Spine computed tomography · Sagittal slice 68/119 · W/L 1800/400 HU
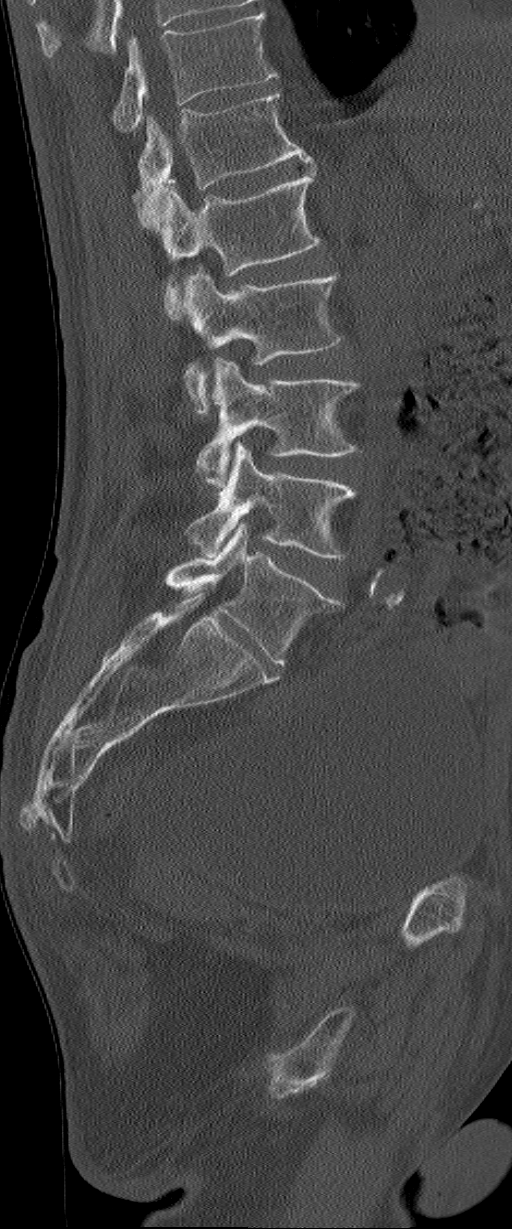
Box edges are left/top/right/bottom in pixels.
In this scan, the topmost labeled vertebra is L1 and the lowest is L6.
The labels name a sixth lumbar vertebra for this spine: L6, after L5.
Vertebra bounding boxes:
- L1: left=132, top=90, right=315, bottom=231
- L2: left=160, top=166, right=320, bottom=320
- L3: left=177, top=266, right=341, bottom=412
- L4: left=195, top=358, right=360, bottom=486
- L5: left=187, top=442, right=354, bottom=559
- L6: left=166, top=521, right=341, bottom=664